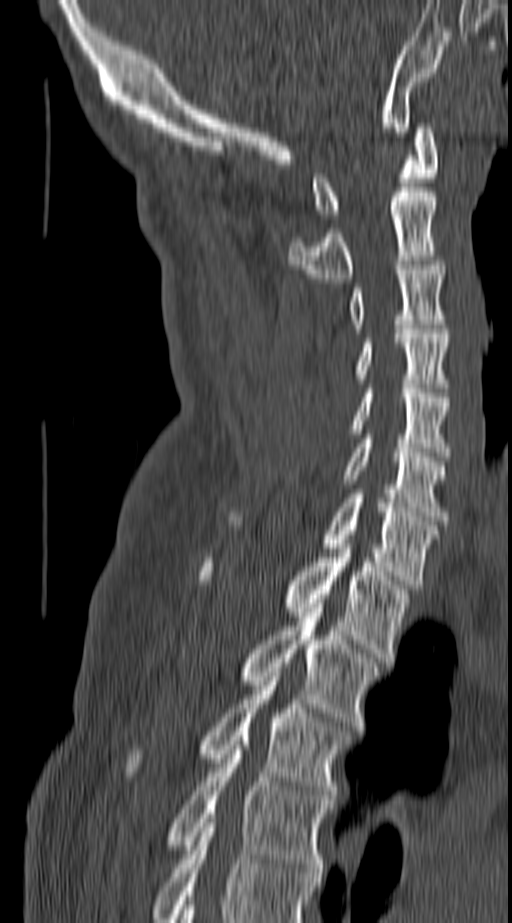

Spine CT — image 140 mm wide — sagittal view — bone window
Columns x1, y1, x2, y2 give each box's top-left and bottom-right pixels.
In this scan, the topmost labeled vertebra is C1 and the lowest is T4.
| vertebra | x1 | y1 | x2 | y2 |
|---|---|---|---|---|
| T4 | 166 | 741 | 333 | 877 |
| T3 | 126 | 672 | 348 | 799 |
| T2 | 239 | 603 | 381 | 730 |
| T1 | 199 | 539 | 410 | 662 |
| C7 | 323 | 494 | 439 | 589 |
| C6 | 345 | 434 | 447 | 520 |
| C5 | 349 | 389 | 450 | 456 |
| C4 | 356 | 329 | 450 | 388 |
| C3 | 349 | 261 | 447 | 328 |
| C2 | 287 | 187 | 436 | 282 |
| C1 | 312 | 123 | 436 | 218 |